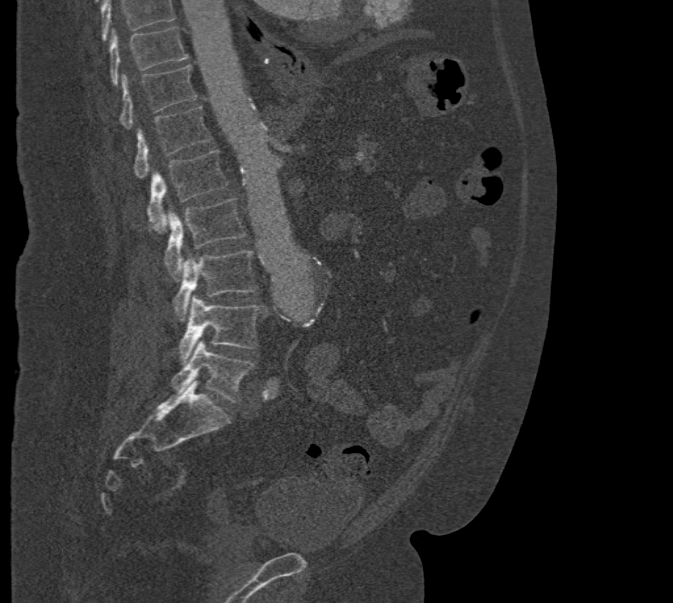 Spine computed tomography — sagittal view — bone window
Boxes: x1:y1:x2:y2 in pixels. Where the top of the scan cuts through a vertebra, that vertebra gets no label or box. 8 vertebrae labeled — L5 at 171:340:255:402; L4 at 179:295:264:362; L3 at 172:250:258:321; L2 at 164:198:245:277; L1 at 147:150:228:231; T12 at 134:106:212:178; T11 at 118:65:197:128; T10 at 109:26:187:85.